CT, spine — sagittal view — Bone window (WL 400, WW 1800) — 8 vertebrae labeled in this scan
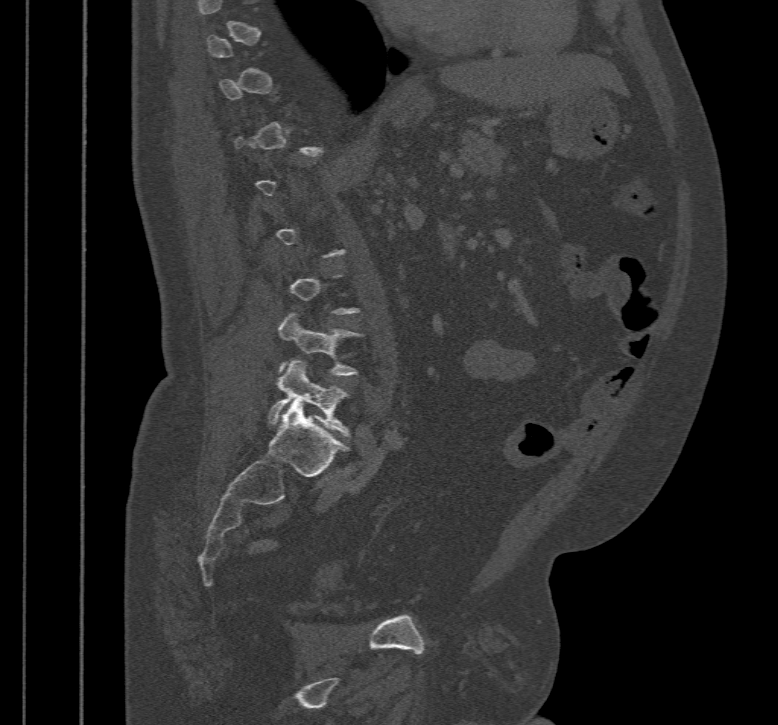

Coordinates as <box>x1,y1,x2,y2</box>.
A vertebra is boxed only from the first to the last slice where its cross-section is at least a third of its largest; slices outside that range leave it without a box.
L5: <box>266,360,350,436</box>
L4: <box>278,312,362,376</box>